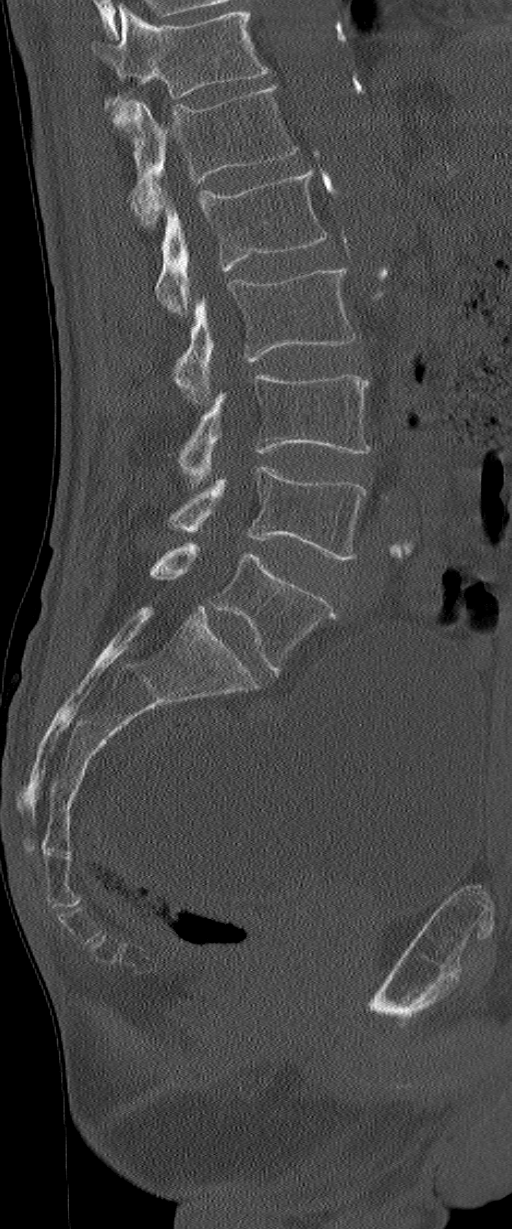

Computed tomography of the spine · sagittal view · bone-window reconstruction

Each box given as x1,y1,x2,y2.
This scan's labels start at L1 at the top and end at L6 at the bottom.
The labels name a sixth lumbar vertebra for this spine: L6, after L5.
L6: x1=150, y1=542, x2=336, y2=672
L5: x1=169, y1=466, x2=367, y2=559
L4: x1=179, y1=374, x2=370, y2=483
L3: x1=174, y1=269, x2=354, y2=402
L2: x1=156, y1=169, x2=328, y2=315
L1: x1=127, y1=85, x2=299, y2=228